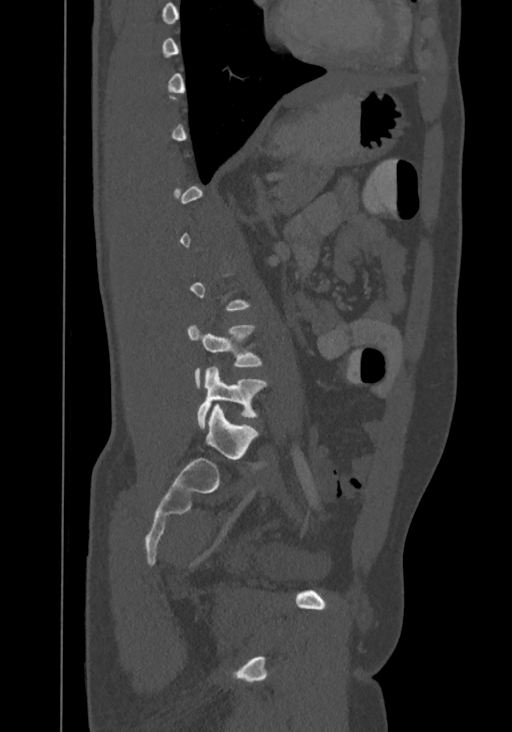
Spine computed tomography; sagittal reformat; bone window. Bounding boxes as [x1, y1, x2, y2] in pixel coordinates.
Not every vertebra on this slice has a box: a vertebra is boxed only from the first to the last slice where its cross-section is at least a third of its largest, and this slice is outside that range for at least one of them.
The highest labeled vertebra in this scan is T8; the lowest is L4.
Vertebra bounding boxes:
- L4: [198, 367, 268, 428]
- L3: [187, 324, 262, 387]